Computed tomography of the spine. Sagittal slice 247/512
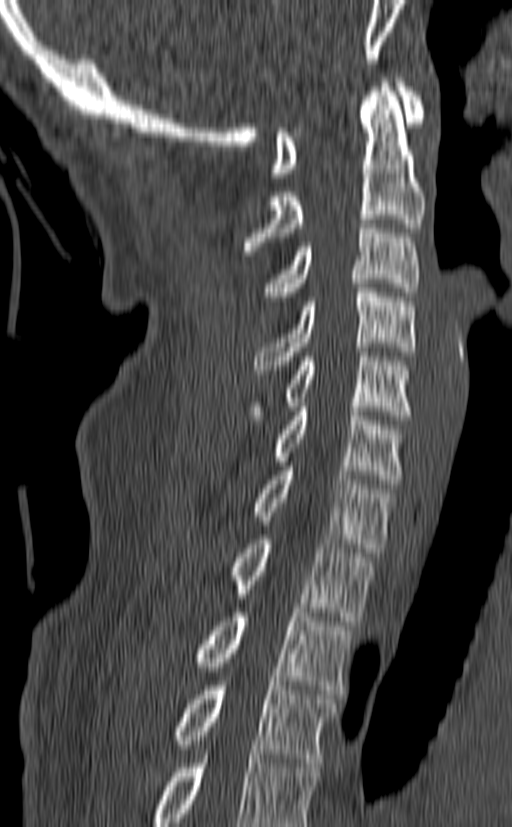
Each box is [x1, y1, x2, y2] in pixels: top-left corner, then bottom-right corner.
In this scan, the topmost labeled vertebra is C1 and the lowest is T3.
{"vertebrae":{"T3":[177,681,337,767],"T2":[196,608,352,694],"T1":[232,535,373,621],"C7":[253,466,392,552],"C6":[272,402,404,484],"C5":[247,347,411,424],"C4":[254,283,415,378],"C3":[261,219,419,301],"C2":[243,78,425,255],"C1":[271,78,425,177]}}